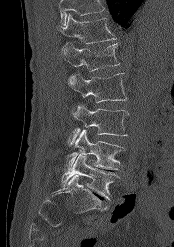

Spine computed tomography; sagittal view
Boxes: x1 y1 x2 y2 (pixel coords, space-separated). No box is given to a vertebra that the top edge of the scan cuts off. The labeled vertebrae in this slice are: T12 at 59 13 116 43, L1 at 61 43 120 71, L2 at 68 73 127 108, L3 at 70 105 129 143, L4 at 67 129 124 170, L5 at 61 156 118 200.